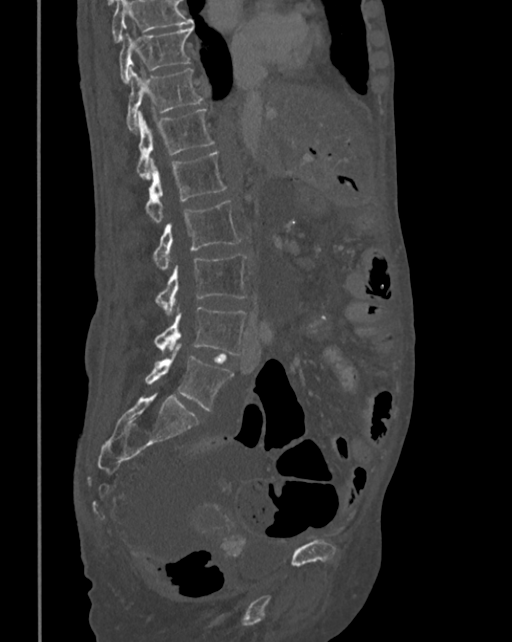

CT — image 342 mm wide — sagittal view. Boxes: x1 y1 x2 y2 (pixel coords, space-separated).
Vertebrae that run past the top of the scan are left unlabeled.
Vertebra bounding boxes:
- T10: 120 26 194 83
- T11: 127 68 202 131
- T12: 136 108 213 179
- L1: 145 152 226 222
- L2: 154 201 241 270
- L3: 155 254 247 315
- L4: 154 307 248 355
- L5: 145 344 232 411